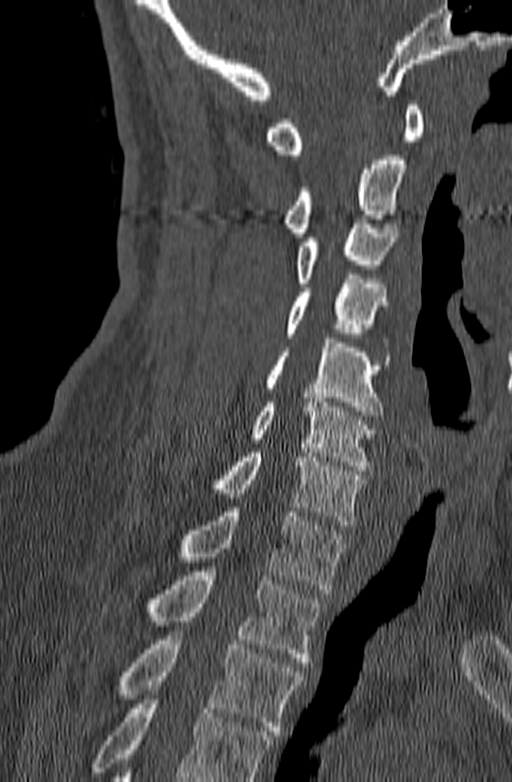
CT spine — sagittal view — bone window — 140 mm across the image
Each box given as x1,y1,x2,y2.
Where the bottom of the scan cuts through a vertebra, that vertebra gets no label or box.
C1: x1=265, y1=101, x2=423, y2=154
C2: x1=283, y1=155, x2=406, y2=237
C3: x1=298, y1=219, x2=399, y2=287
C4: x1=287, y1=274, x2=387, y2=337
C5: x1=265, y1=338, x2=390, y2=415
C6: x1=250, y1=398, x2=374, y2=470
C7: x1=208, y1=448, x2=362, y2=525
T1: x1=181, y1=507, x2=347, y2=593
T2: x1=147, y1=571, x2=319, y2=662
T3: x1=117, y1=631, x2=305, y2=735